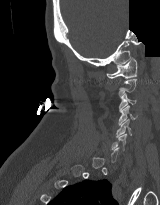 Computed tomography of the spine · sagittal view · a region is blanked to uniform black, ending in a straight edge
Columns x1, y1, x2, y2 give each box's top-left and bottom-right pixels.
Not every vertebra on this slice has a box: a vertebra is boxed only from the first to the last slice where its cross-section is at least a third of its largest, and this slice is outside that range for at least one of them.
| vertebra | x1 | y1 | x2 | y2 |
|---|---|---|---|---|
| C1 | 106 | 57 | 137 | 78 |
| C3 | 119 | 93 | 136 | 111 |
| C4 | 118 | 105 | 136 | 125 |
| C5 | 116 | 119 | 131 | 137 |
| C6 | 111 | 134 | 126 | 150 |